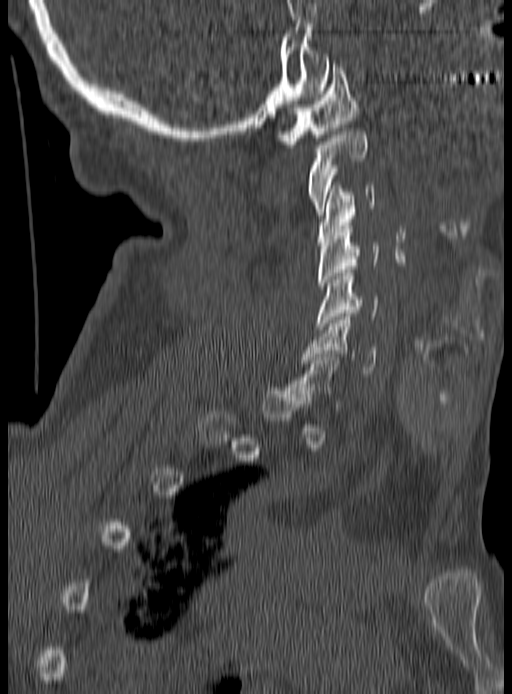

CT spine. the image is 190 mm wide. sagittal view. bone-window reconstruction. 512x694 px
Box values are [left, top, right, bottom] in pixels.
Each vertebra is boxed only on the slices from the first to the last where its cross-section reaches a third of its largest, so a slice outside that range leaves it unboxed.
{"vertebrae":{"C1":[278,64,358,147],"C2":[308,131,366,215],"C3":[317,185,374,245],"C4":[317,222,380,289],"C5":[316,273,378,329],"C6":[303,317,377,376]}}